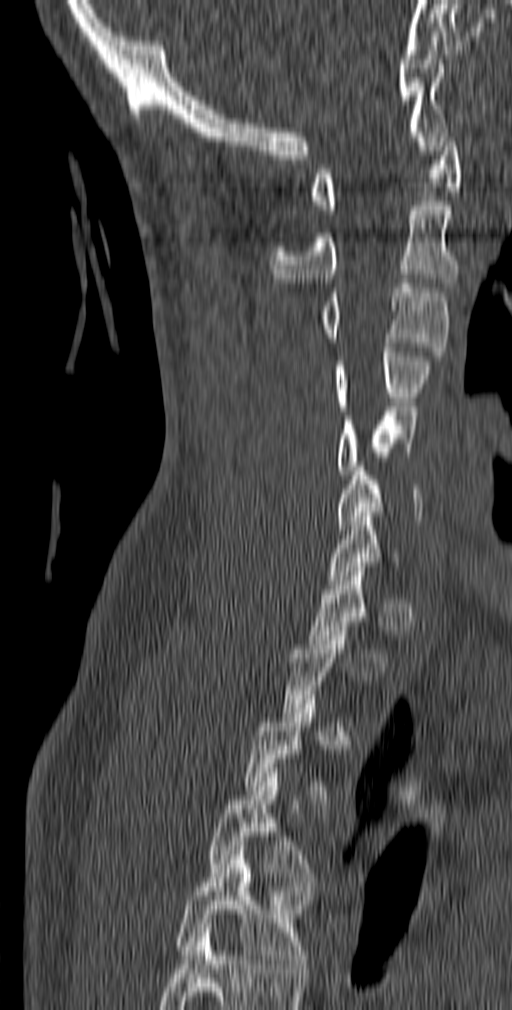
Spine CT — the image is 140 mm wide — sagittal view — 512x1010 px
Boxes: x1:y1:x2:y2 in pixels.
A vertebra gets a box only on the slices from the first to the last where its cross-section is at least a third of its largest; on a slice outside that range it gets none.
This scan's labels start at C1 at the top and end at T5 at the bottom.
Vertebra bounding boxes:
- C1: 311:128:461:214
- C2: 270:201:458:287
- C3: 320:279:449:356
- C4: 334:347:432:410
- C5: 338:407:417:474
- C6: 337:462:422:529
- T4: 206:773:318:890
- T5: 176:850:309:968